Spine computed tomography · sagittal plane, index 23 · bone-window reconstruction · 459x459 px · 459 mm across the image
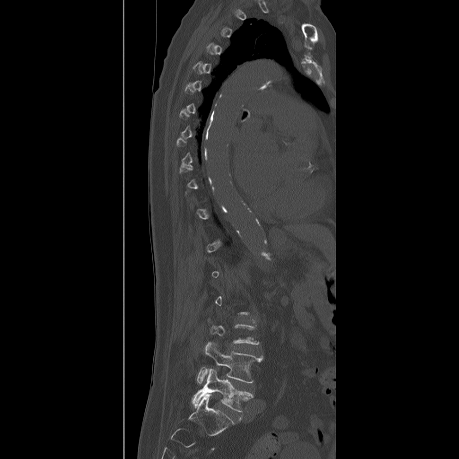
Boxes: x1 y1 x2 y2 (pixel coords, space-separated). A vertebra gets a box only on the slices from the first to the last where its cross-section is at least a third of its largest; on a slice outside that range it gets none. Vertebrae labeled: L4 at 197 342 262 383, L5 at 191 369 252 411.